Spine CT — Sagittal slice 261/512 — bone window — 8 vertebrae labeled in this scan
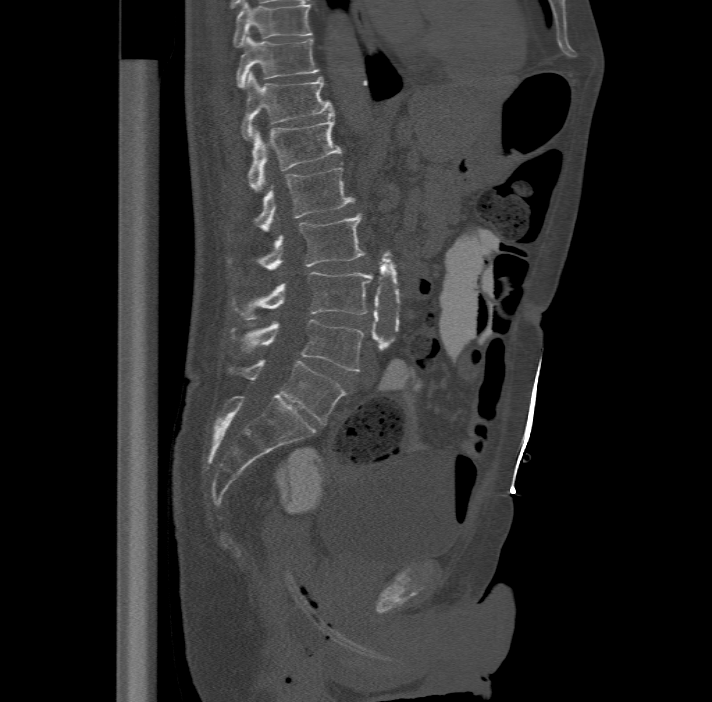 Each box is [x1, y1, x2, y2] in pixels: top-left corner, then bottom-right corner.
Labels in this scan begin with T11 at the top and end with L6 at the bottom.
The labels name a sixth lumbar vertebra for this spine: L6, after L5.
{"vertebrae":{"T11":[236,34,319,87],"T12":[241,71,333,138],"L1":[248,110,341,190],"L2":[253,167,354,230],"L3":[227,212,365,269],"L4":[231,271,372,318],"L5":[231,318,363,371],"L6":[228,360,345,424]}}